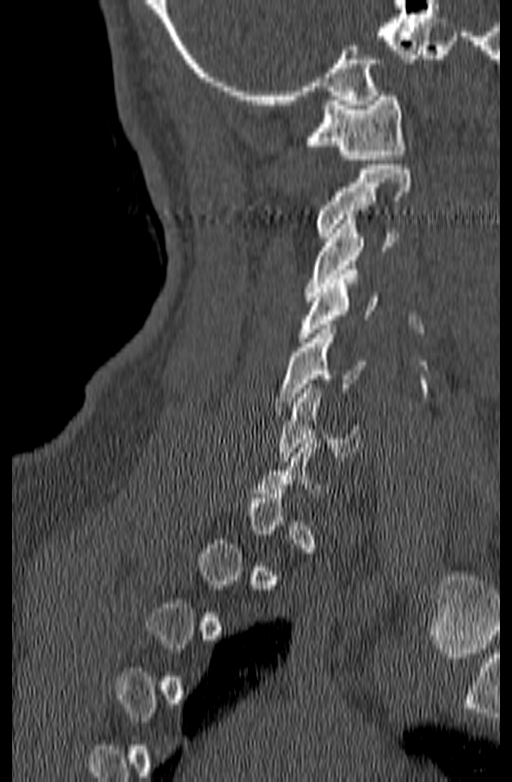 CT, spine · the image spans 140 mm across · sagittal view
Not every vertebra on this slice has a box: a vertebra is boxed only from the first to the last slice where its cross-section is at least a third of its largest, and this slice is outside that range for at least one of them.
<vertebrae><v name="C6" x1="278" y1="384" x2="361" y2="461"/><v name="C5" x1="276" y1="325" x2="366" y2="406"/><v name="C4" x1="295" y1="270" x2="379" y2="342"/><v name="C3" x1="305" y1="215" x2="397" y2="296"/><v name="C2" x1="316" y1="165" x2="410" y2="237"/><v name="C1" x1="304" y1="91" x2="405" y2="164"/></vertebrae>